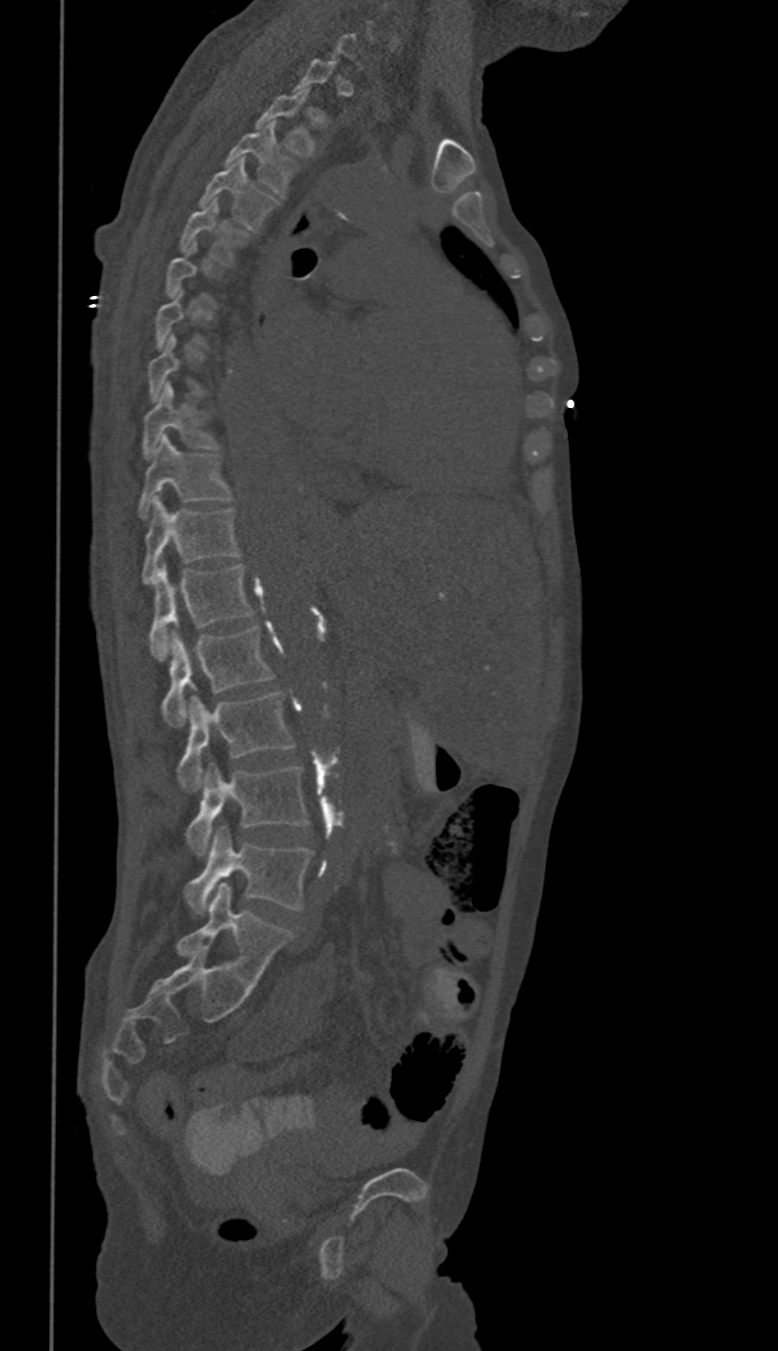 Spine CT — sagittal reformat
Coordinates as <box>x1,y1,x2,y2</box>.
A vertebra is boxed only from the first to the last slice where its cross-section is at least a third of its largest; slices outside that range leave it without a box.
These labels give this spine no T12: after T11 the next vertebra is L1.
Vertebra bounding boxes:
- T2: <box>255,89,312,155</box>
- T3: <box>226,120,289,195</box>
- T4: <box>199,158,274,228</box>
- T5: <box>179,200,244,264</box>
- T9: <box>141,383,216,459</box>
- T10: <box>140,434,230,519</box>
- T11: <box>141,498,239,584</box>
- L1: <box>149,565,253,659</box>
- L2: <box>163,625,272,726</box>
- L3: <box>178,692,294,791</box>
- L4: <box>187,763,307,855</box>
- L5: <box>184,827,312,915</box>